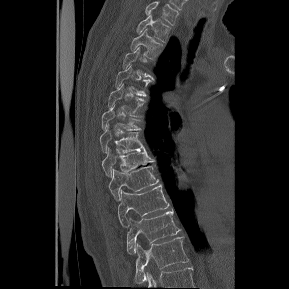
CT spine · sagittal reformat · Bone window (WL 400, WW 1800)

This scan's labels start at T1 at the top and end at T12 at the bottom.
<vertebrae><v name="T12" x1="135" y1="237" x2="189" y2="283"/><v name="T11" x1="127" y1="209" x2="181" y2="254"/><v name="T10" x1="117" y1="184" x2="169" y2="227"/><v name="T9" x1="108" y1="165" x2="159" y2="200"/><v name="T8" x1="102" y1="148" x2="154" y2="177"/><v name="T7" x1="100" y1="124" x2="145" y2="152"/><v name="T6" x1="101" y1="105" x2="143" y2="130"/><v name="T5" x1="108" y1="84" x2="147" y2="117"/><v name="T4" x1="115" y1="65" x2="152" y2="96"/><v name="T3" x1="123" y1="47" x2="154" y2="81"/><v name="T2" x1="130" y1="29" x2="163" y2="58"/><v name="T1" x1="136" y1="15" x2="170" y2="41"/></vertebrae>